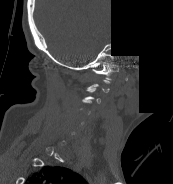
Spine computed tomography; 173 mm across the image; sagittal view; some of the image was removed or blocked out with constant pixels
Each box is [x1, y1, x2, y2] in pixels: top-left corner, then bottom-right corner.
Each vertebra is boxed only on the slices from the first to the last where its cross-section reaches a third of its largest, so a slice outside that range leaves it unboxed.
{"vertebrae":{"C1":[92,62,119,77],"C3":[84,87,100,103]}}